Spine CT — sagittal view
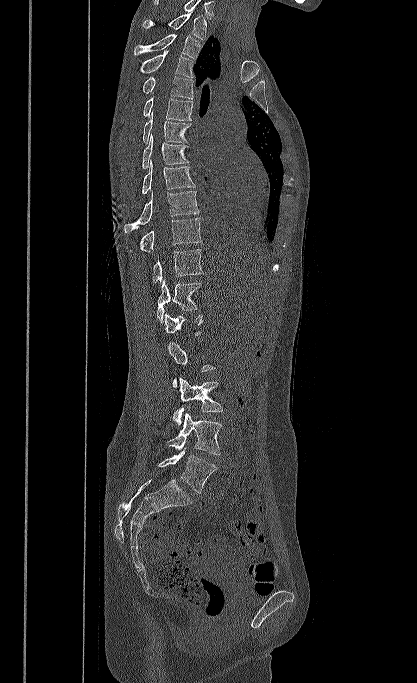
Boxes: x1:y1:x2:y2 in pixels. Each vertebra is boxed only on the slices from the first to the last where its cross-section reaches a third of its largest, so a slice outside that range leaves it unboxed. This scan's labels start at T1 at the top and end at L5 at the bottom. Vertebrae labeled: L5 at 158:447:217:493, L4 at 167:413:222:454, L3 at 173:377:223:425, L1 at 164:312:202:336, T12 at 157:279:201:322, T11 at 152:249:203:284, T10 at 140:218:202:252, T9 at 124:191:199:232, T8 at 141:159:195:194, T7 at 142:134:188:168, T6 at 142:112:191:144, T5 at 143:97:192:120, T4 at 142:76:194:99, T3 at 139:51:193:77, T2 at 134:34:199:59, T1 at 143:11:206:40.